CT · sagittal reformat · bone window · scan covers 9 annotated vertebrae · some of the image was removed or blocked out with constant pixels
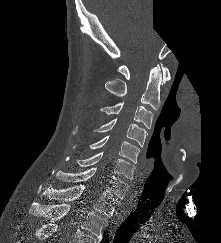
Boxes are given in columns x1, y1, x2, y2, the pixel coordinates of their top-left and bottom-right corners.
| vertebra | x1 | y1 | x2 | y2 |
|---|---|---|---|---|
| T2 | 29 | 202 | 107 | 241 |
| T1 | 42 | 184 | 119 | 216 |
| C7 | 55 | 167 | 128 | 199 |
| C6 | 74 | 151 | 136 | 180 |
| C5 | 89 | 135 | 139 | 163 |
| C4 | 93 | 118 | 147 | 146 |
| C3 | 100 | 101 | 153 | 128 |
| C2 | 105 | 64 | 162 | 109 |
| C1 | 117 | 62 | 170 | 85 |